CT. sagittal reformat
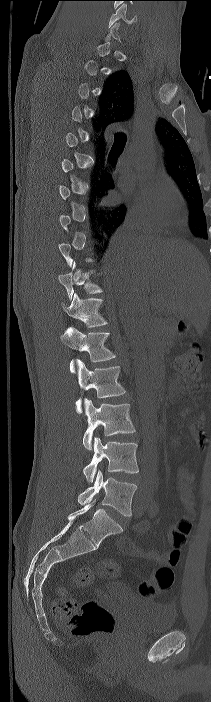
Not every vertebra on this slice has a box: a vertebra is boxed only from the first to the last slice where its cross-section is at least a third of its largest, and this slice is outside that range for at least one of them.
The highest labeled vertebra in this scan is C7; the lowest is L4.
<vertebrae><v name="T10" x1="58" y1="261" x2="103" y2="300"/><v name="T11" x1="61" y1="293" x2="107" y2="327"/><v name="T12" x1="61" y1="326" x2="115" y2="373"/><v name="L1" x1="75" y1="359" x2="125" y2="413"/><v name="L2" x1="83" y1="398" x2="135" y2="449"/><v name="L3" x1="83" y1="437" x2="138" y2="482"/><v name="L4" x1="77" y1="470" x2="137" y2="516"/></vertebrae>